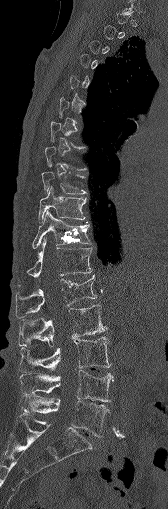 Spine CT — sagittal view — 168 mm image width — bone-window reconstruction — 168x509 px. Each box given as x1,y1,x2,y2.
Each vertebra is boxed only on the slices from the first to the last where its cross-section reaches a third of its largest, so a slice outside that range leaves it unboxed.
Vertebra bounding boxes:
- T9: x1=41, y1=171, x2=85, y2=194
- T10: x1=39, y1=187, x2=86, y2=221
- T11: x1=32, y1=211, x2=90, y2=248
- T12: x1=27, y1=238, x2=92, y2=278
- L1: x1=15, y1=275, x2=96, y2=316
- L2: x1=18, y1=305, x2=106, y2=346
- L3: x1=20, y1=336, x2=111, y2=372
- L4: x1=19, y1=370, x2=113, y2=401
- L5: x1=21, y1=394, x2=109, y2=436